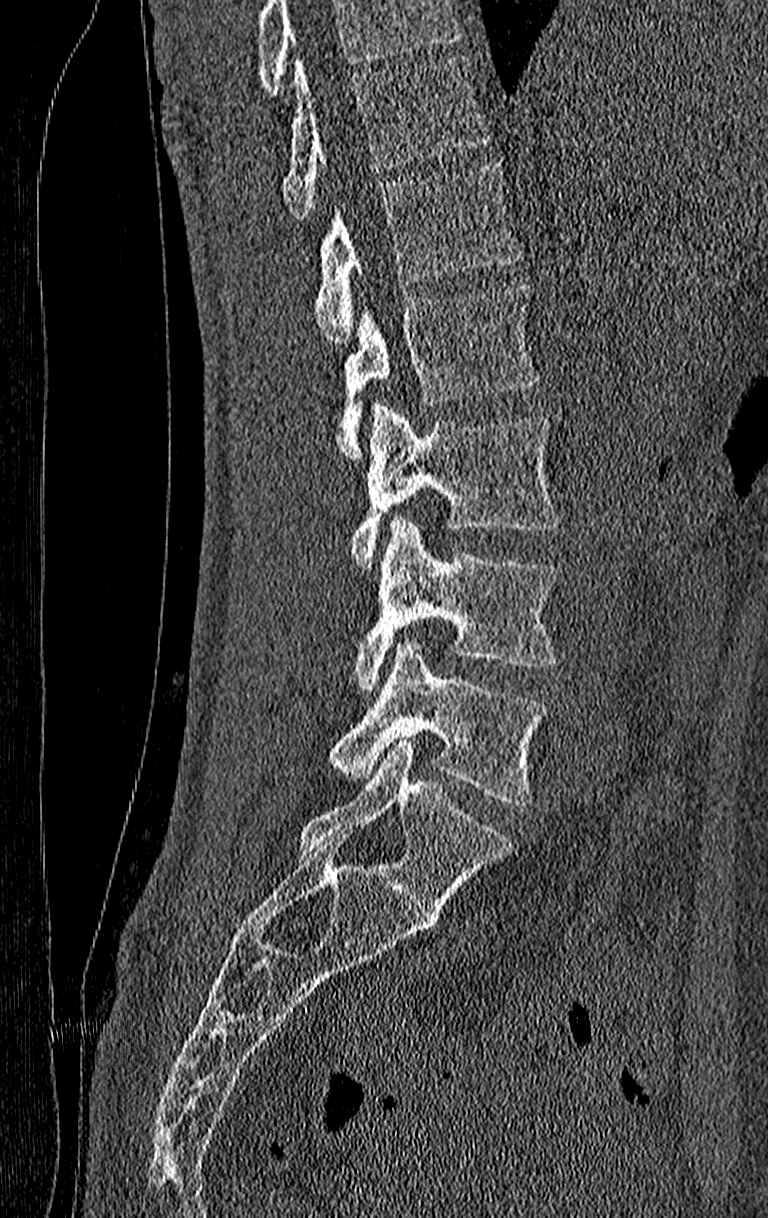

CT. 210 mm image width. sagittal view. 768x1218 px. Boxes are (x1, y1, x2, y2) in pixels.
A vertebra cut off by the top edge of the scan is not labeled and has no box.
The highest labeled vertebra in this scan is T11; the lowest is L4.
Vertebra bounding boxes:
- T11: (284, 56, 488, 220)
- T12: (313, 158, 521, 343)
- L1: (336, 286, 539, 461)
- L2: (350, 406, 561, 567)
- L3: (353, 517, 557, 692)
- L4: (328, 640, 546, 804)